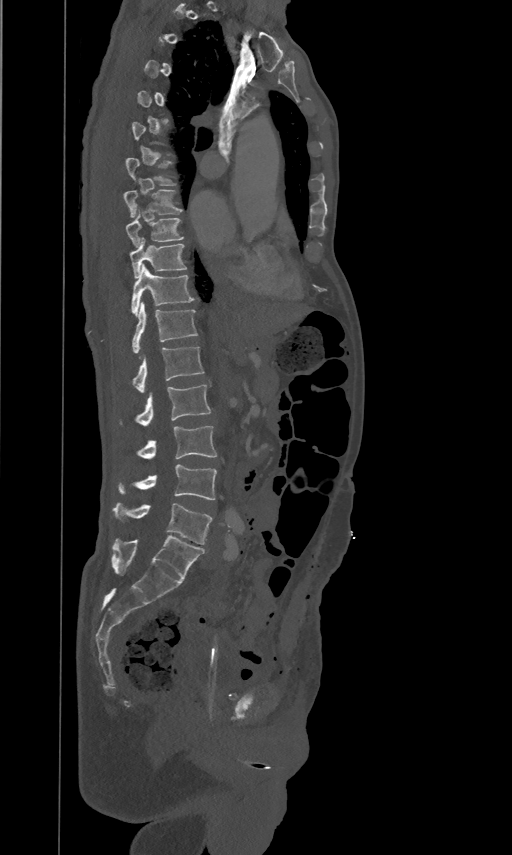

Computed tomography of the spine. sagittal reformat. bone window. 512x855 px
Boxes are (x1, y1, x2, y2) in pixels.
A vertebra is boxed only from the first to the last slice where its cross-section is at least a third of its largest; slices outside that range leave it without a box.
Vertebra bounding boxes:
- T8: (123, 189, 181, 216)
- T9: (125, 207, 182, 245)
- T10: (129, 236, 186, 276)
- T11: (131, 263, 193, 316)
- T12: (132, 301, 197, 352)
- L1: (133, 345, 203, 392)
- L2: (136, 384, 210, 426)
- L3: (138, 425, 216, 459)
- L4: (119, 464, 216, 500)
- L5: (113, 503, 212, 544)